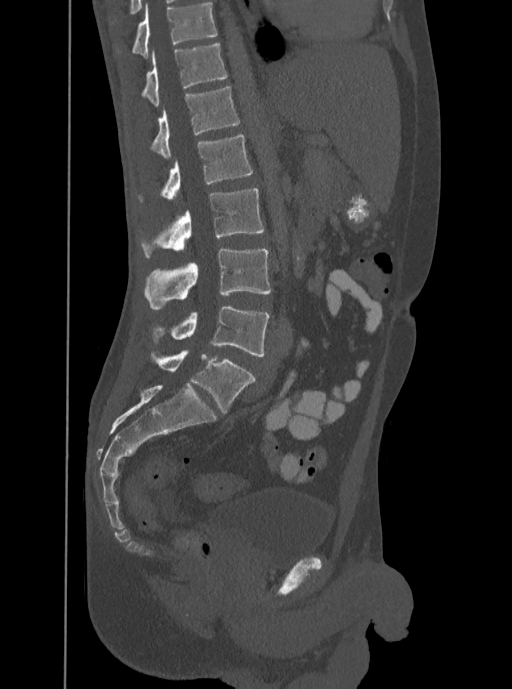

Computed tomography of the spine. sagittal view. W/L 1800/400 HU
Each vertebra maps to its box as [x1, y1, x2, y2], the pixel coordinates of its top-left and bottom-right corners.
Labels in this scan begin with T12 at the top and end with L5 at the bottom.
{"vertebrae":{"T12":[140,43,227,106],"L1":[149,86,240,158],"L2":[137,134,252,203],"L3":[140,188,264,257],"L4":[143,249,271,308],"L5":[150,307,269,357]}}